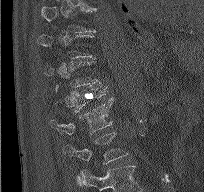
Spine computed tomography; sagittal view; 204 mm wide; W/L 1800/400 HU; 204x192 px
Box edges are left/top/right/bottom in pixels.
A vertebra gets a box only on the slices from the first to the last where its cross-section is at least a third of its largest; on a slice outside that range it gets none.
The highest labeled vertebra in this scan is T9; the lowest is L2.
Vertebra bounding boxes:
- T12: left=71, top=85, right=110, bottom=112
- L1: left=50, top=98, right=112, bottom=135
- L2: left=63, top=132, right=128, bottom=164